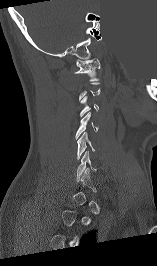
Spine computed tomography — sagittal reformat — bone-window reconstruction — 157x266 px — part of the image is a flat gray fill, not anatomy

Boxes are (x1, y1, x2, y2) in pixels.
A vertebra is boxed only from the first to the last slice where its cross-section is at least a third of its largest; slices outside that range leave it without a box.
Vertebra bounding boxes:
- C1: (74, 58, 100, 80)
- C3: (80, 95, 98, 116)
- C4: (75, 112, 98, 139)
- C5: (77, 132, 94, 159)
- C6: (76, 151, 97, 181)